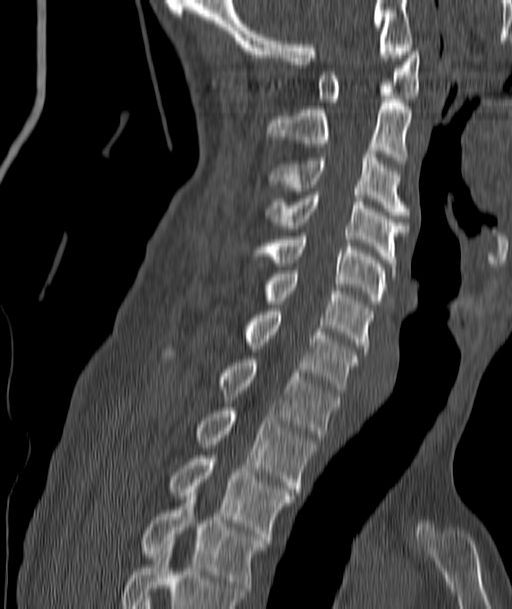 Spine computed tomography; sagittal reformat; image width 187 mm; 512x609 px
Boxes: x1 y1 x2 y2 (pixel coords, space-separated). 11 vertebrae labeled — C1 at 318 48 419 102; C2 at 266 99 411 163; C3 at 269 151 408 218; C4 at 266 192 408 269; C5 at 269 233 386 304; C6 at 266 274 372 352; C7 at 247 311 359 393; T1 at 220 359 339 437; T2 at 198 407 315 492; T3 at 171 455 293 540; T4 at 143 496 265 595.